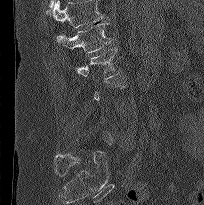
Computed tomography of the spine. sagittal view. Bone window (WL 400, WW 1800). 204x205 px. Boxes: x1:y1:x2:y2 in pixels.
Not every vertebra on this slice has a box: a vertebra is boxed only from the first to the last slice where its cross-section is at least a third of its largest, and this slice is outside that range for at least one of them.
Where the top of the scan cuts through a vertebra, that vertebra gets no label or box.
Vertebra bounding boxes:
- L1: 56:22:114:53
- L2: 75:47:120:81